Spine computed tomography; the image spans 375 mm across; sagittal plane, index 254; Bone window (WL 400, WW 1800)
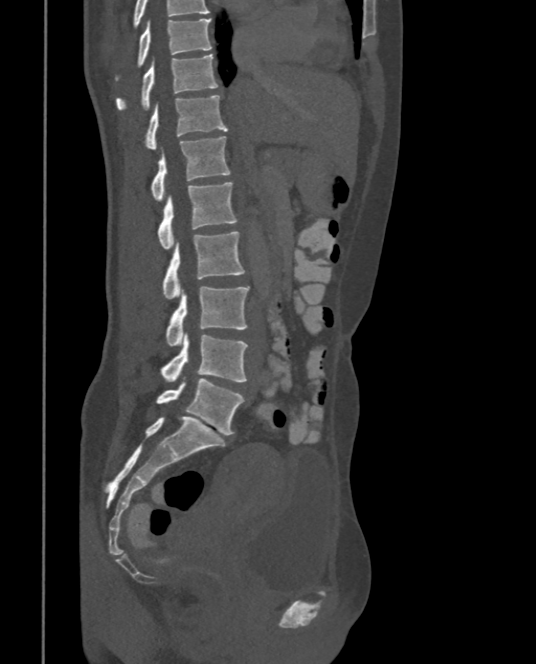
Each vertebra maps to its box as [x1, y1, x2, y2], the pixel coordinates of its top-left and bottom-right corners.
In this scan, the topmost labeled vertebra is T9 and the lowest is L5.
{"vertebrae":{"L5":[156,378,243,435],"L4":[161,333,247,382],"L3":[165,286,249,346],"L2":[162,231,245,299],"L1":[158,181,238,249],"T12":[152,136,230,200],"T11":[145,96,227,149],"T10":[115,53,218,110],"T9":[137,18,211,66]}}